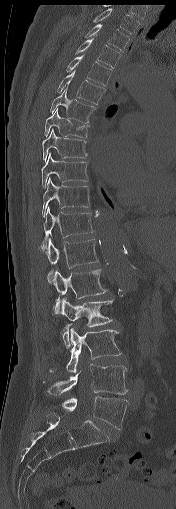
CT spine; sagittal reformat; bone-window reconstruction; image width 176 mm
Boxes are (x1, y1, x2, y2) in pixels.
Vertebra bounding boxes:
- T1: (92, 8, 140, 34)
- T2: (84, 24, 129, 52)
- T3: (75, 35, 121, 67)
- T4: (66, 55, 112, 85)
- T5: (57, 70, 105, 104)
- T6: (50, 85, 95, 123)
- T7: (44, 108, 90, 138)
- T8: (42, 128, 86, 161)
- T9: (41, 153, 89, 188)
- T10: (42, 178, 89, 216)
- T11: (41, 207, 93, 251)
- T12: (45, 238, 98, 284)
- L1: (53, 269, 107, 313)
- L2: (61, 298, 112, 348)
- L3: (49, 328, 121, 373)
- L4: (46, 364, 129, 394)
- L5: (62, 396, 128, 429)